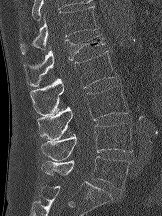
CT spine · sagittal view · Bone window (WL 400, WW 1800) · the image spans 162 mm across
Boxes: x1 y1 x2 y2 (pixel coords, space-separated).
Vertebra bounding boxes:
- L5: 41 156 129 190
- L4: 41 123 132 160
- L3: 37 85 128 140
- L2: 30 50 117 115
- L1: 23 35 105 86
- T12: 19 6 98 55